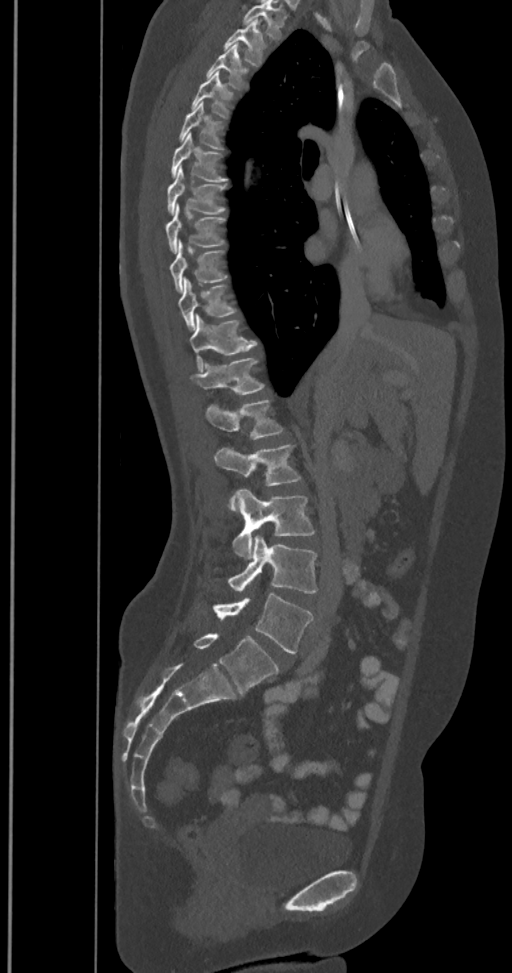 CT, spine — sagittal view

Coordinates as <box>x1,y1,x2,y2</box>.
In this scan, the topmost labeled vertebra is T2 and the lowest is L6.
In these labels the spine has an L6, a sixth lumbar vertebra below L5.
T2: <box>224,21,266,65</box>
T3: <box>206,45,247,89</box>
T4: <box>191,71,233,116</box>
T5: <box>180,103,221,149</box>
T6: <box>171,133,227,181</box>
T7: <box>167,167,226,212</box>
T8: <box>165,205,226,250</box>
T9: <box>169,242,227,290</box>
T10: <box>177,278,236,331</box>
T11: <box>188,315,256,372</box>
T12: <box>190,358,264,394</box>
L1: <box>205,400,283,440</box>
L2: <box>213,445,300,510</box>
L3: <box>232,488,315,559</box>
L4: <box>228,536,318,593</box>
L5: <box>213,594,313,653</box>
L6: <box>193,633,278,693</box>